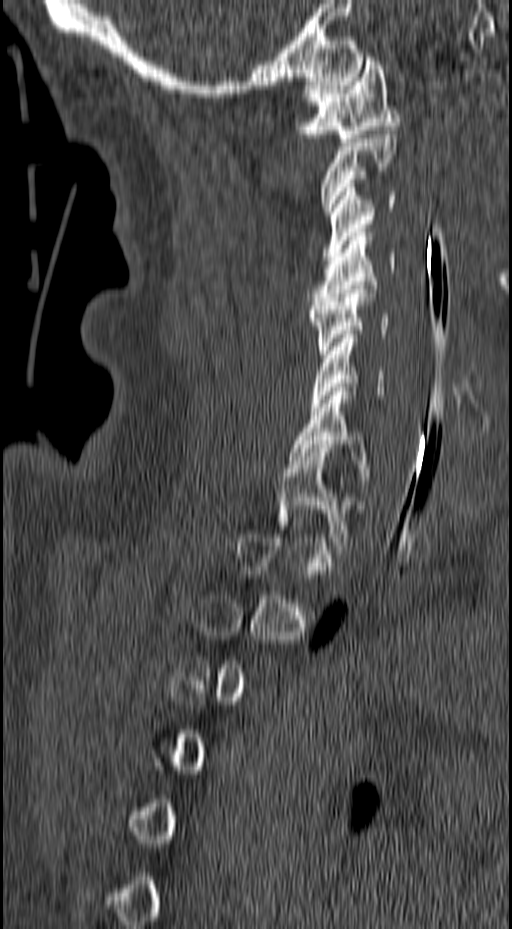
CT spine; sagittal view; bone-window reconstruction; the image is 157 mm wide; 512x929 px
Coordinates as <box>x1,y1,x2,y2</box>.
A vertebra gets a box only on the slices from the first to the last where its cross-section is at least a third of its largest; on a slice outside that range it gets none.
C1: <box>296,57,399,142</box>
C2: <box>321,130,396,215</box>
C3: <box>322,183,395,260</box>
C4: <box>309,232,395,305</box>
C5: <box>309,285,390,354</box>
C6: <box>311,334,411,407</box>
C7: <box>288,387,371,476</box>
T1: <box>276,448,349,545</box>